Computed tomography of the spine — sagittal plane, index 29 — the image spans 356 mm across — bone window
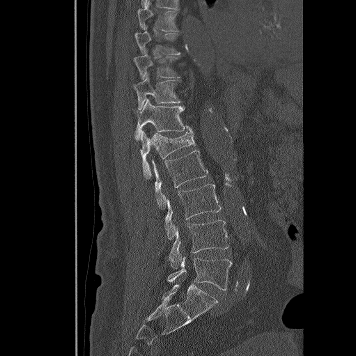 <vertebrae><v name="T8" x1="138" y1="9" x2="178" y2="31"/><v name="T9" x1="135" y1="31" x2="180" y2="54"/><v name="T10" x1="133" y1="54" x2="182" y2="79"/><v name="T11" x1="134" y1="74" x2="180" y2="109"/><v name="T12" x1="134" y1="99" x2="192" y2="141"/><v name="L1" x1="140" y1="131" x2="196" y2="178"/><v name="L2" x1="152" y1="150" x2="208" y2="209"/><v name="L3" x1="164" y1="184" x2="221" y2="239"/><v name="L4" x1="169" y1="220" x2="228" y2="268"/><v name="L5" x1="167" y1="256" x2="231" y2="290"/></vertebrae>